CT, spine; sagittal reformat; bone window; scan covers 11 annotated vertebrae
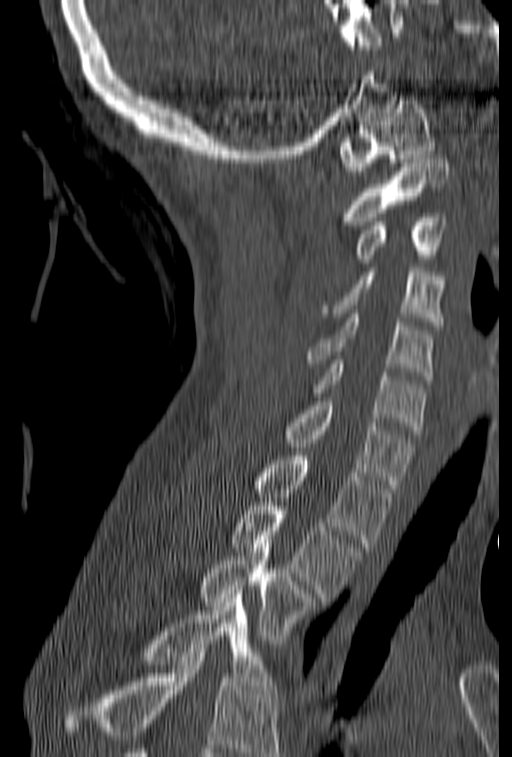
Boxes are (x1, y1, x2, y2) in pixels. No box is given to a vertebra that the bottom edge of the scan cuts off. 11 vertebrae labeled — C1 at (339, 96, 435, 175); C2 at (343, 155, 449, 225); C3 at (356, 213, 446, 263); C4 at (322, 268, 445, 329); C5 at (307, 314, 433, 380); C6 at (309, 360, 425, 434); C7 at (283, 397, 415, 488); T1 at (256, 452, 392, 547); T2 at (231, 502, 362, 597); T3 at (202, 540, 318, 643); T4 at (142, 590, 277, 693).